Spine CT. sagittal plane, index 233. bone-window reconstruction. 512x677 px
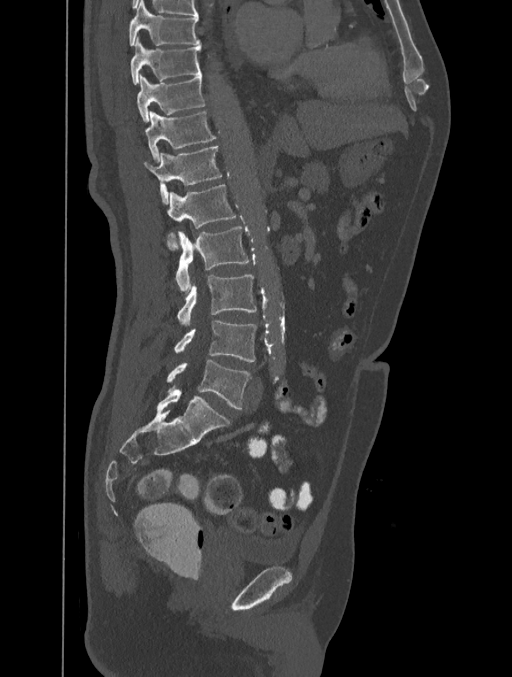
Each vertebra maps to its box as [x1, y1, x2, y2], the pixel coordinates of its top-left and bottom-right corners.
{"vertebrae":{"T8":[129,1,199,45],"T9":[130,37,201,85],"T10":[136,75,204,122],"T11":[144,111,216,161],"T12":[143,146,221,204],"L1":[167,184,236,250],"L2":[176,226,249,293],"L3":[177,275,257,327],"L4":[174,321,257,362],"L5":[167,360,250,409]}}